CT, spine. sagittal view. 182x219 px
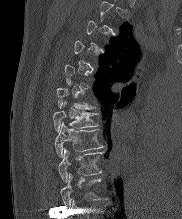
Each box given as x1,y1,x2,y2.
Not every vertebra on this slice has a box: a vertebra is boxed only from the first to the last slice where its cross-section is at least a third of its largest, and this slice is outside that range for at least one of them.
In this scan, the topmost labeled vertebra is T2 and the lowest is T10.
| vertebra | x1 | y1 | x2 | y2 |
|---|---|---|---|---|
| T7 | 52 | 102 | 97 | 131 |
| T8 | 54 | 123 | 102 | 156 |
| T9 | 58 | 148 | 101 | 181 |
| T10 | 60 | 174 | 100 | 207 |